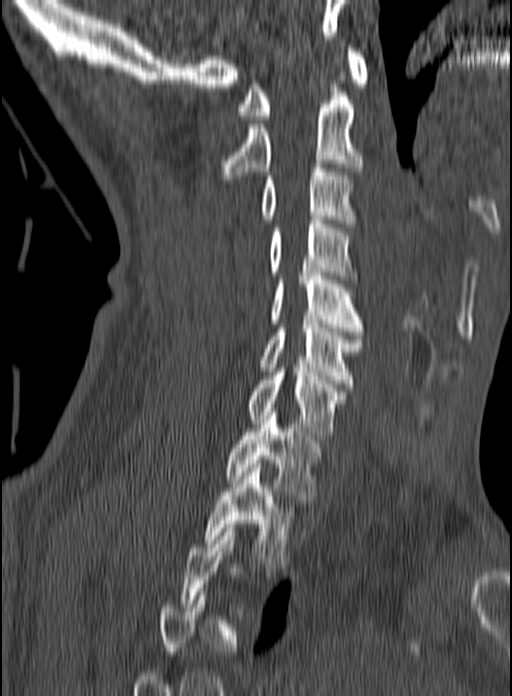

CT spine; sagittal view; image 160 mm wide; bone-window reconstruction
A vertebra gets a box only on the slices from the first to the last where its cross-section is at least a third of its largest; on a slice outside that range it gets none.
<vertebrae><v name="C1" x1="237" y1="48" x2="368" y2="119"/><v name="C2" x1="204" y1="72" x2="362" y2="179"/><v name="C3" x1="260" y1="164" x2="355" y2="223"/><v name="C4" x1="269" y1="220" x2="357" y2="279"/><v name="C5" x1="271" y1="272" x2="363" y2="335"/><v name="C6" x1="260" y1="320" x2="362" y2="387"/><v name="C7" x1="248" y1="368" x2="346" y2="439"/><v name="T1" x1="225" y1="412" x2="320" y2="503"/><v name="T2" x1="203" y1="464" x2="306" y2="567"/></vertebrae>